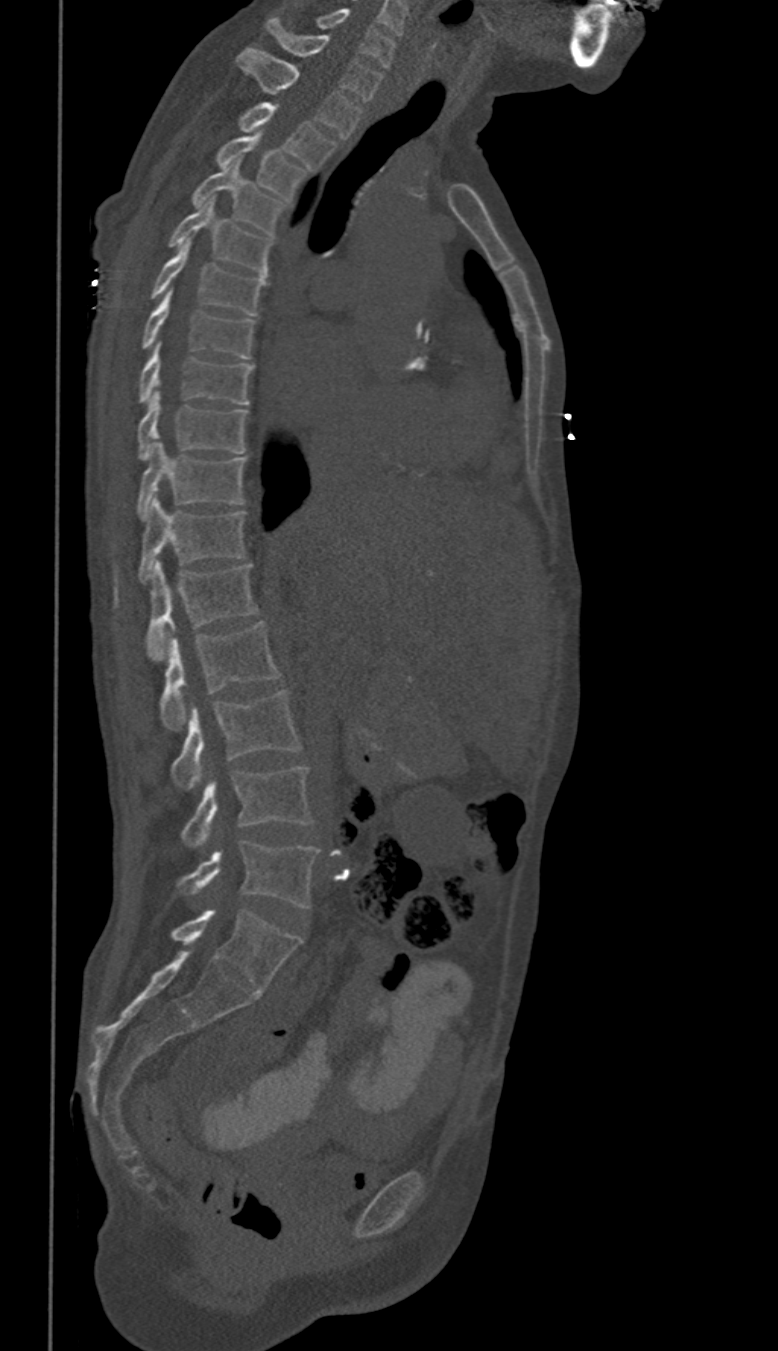 Spine CT; sagittal reformat; Bone window (WL 400, WW 1800)

Each box is [x1, y1, x2, y2] in pixels: top-left corner, then bottom-right corner.
These labels give this spine no T12: after T11 the next vertebra is L1.
{"vertebrae":{"C6":[317,7,394,68],"C7":[266,18,383,102],"T1":[237,47,361,137],"T2":[240,103,336,168],"T3":[217,134,306,199],"T4":[193,160,283,233],"T5":[169,198,272,277],"T6":[150,238,265,315],"T7":[141,289,254,359],"T8":[140,343,253,404],"T9":[137,392,248,459],"T10":[137,440,248,519],"T11":[140,498,245,582],"L1":[146,560,256,659],"L2":[160,623,279,731],"L3":[170,689,298,791],"L4":[182,767,312,846],"L5":[178,840,318,908]}}